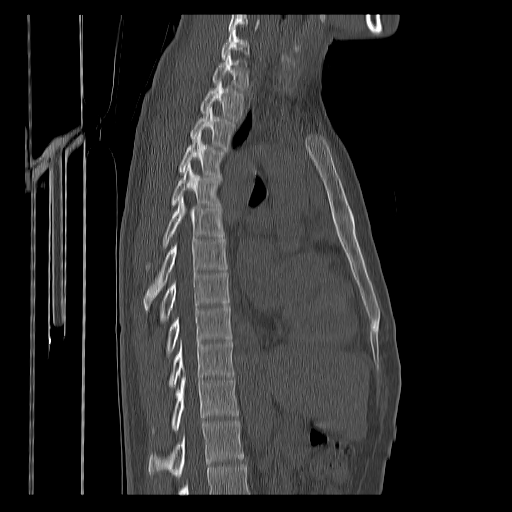

CT, spine. image 400 mm wide. sagittal view
Bounding boxes as [x1, y1, x2, y2] in pixel coordinates.
Vertebrae that run past the bottom of the scan are left unlabeled.
Labels in this scan begin with C7 at the top and end with T12 at the bottom.
Vertebra bounding boxes:
- C7: [222, 30, 249, 59]
- T1: [213, 54, 247, 90]
- T2: [200, 82, 244, 119]
- T3: [190, 108, 235, 150]
- T4: [178, 133, 224, 177]
- T5: [172, 163, 221, 207]
- T6: [146, 197, 224, 269]
- T7: [144, 238, 227, 304]
- T8: [160, 272, 230, 322]
- T9: [167, 306, 231, 355]
- T10: [169, 339, 233, 388]
- T11: [152, 375, 239, 433]
- T12: [149, 420, 244, 477]